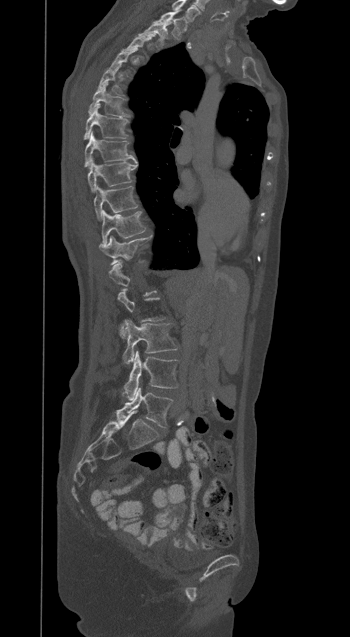

CT spine — sagittal view — bone-window reconstruction. Boxes are (x1, y1, x2, y2) in pixels. Each vertebra is boxed only on the slices from the first to the last where its cross-section reaches a third of its largest, so a slice outside that range leaves it unboxed. This scan's labels start at T1 at the top and end at L5 at the bottom. The labeled vertebrae in this slice are: T1 at (155, 11, 185, 37), T2 at (142, 22, 170, 46), T3 at (123, 34, 153, 57), T5 at (98, 66, 122, 94), T6 at (88, 84, 123, 116), T7 at (84, 104, 129, 139), T8 at (85, 132, 135, 167), T9 at (87, 159, 136, 192), T10 at (94, 186, 137, 220), T11 at (102, 210, 145, 244), T12 at (99, 236, 146, 262), L3 at (123, 320, 177, 364), L4 at (124, 351, 177, 400), L5 at (116, 387, 172, 427).